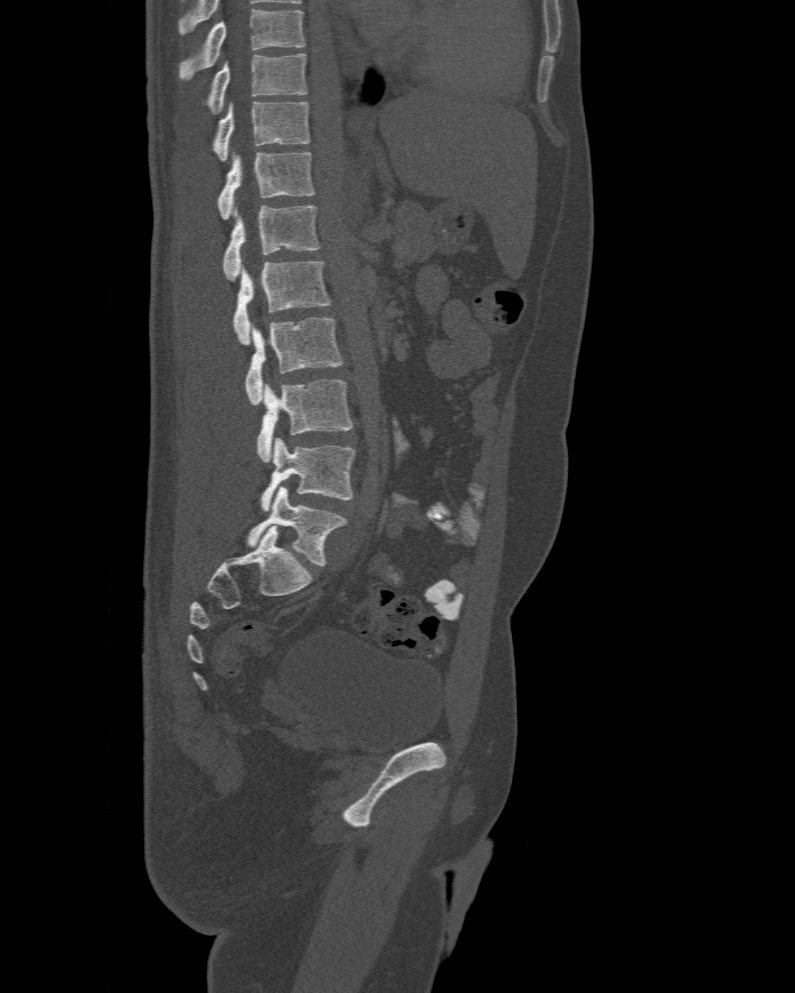 CT. sagittal reformat. the image spans 477 mm across. bone-window reconstruction

Boxes: x1:y1:x2:y2 in pixels.
In this scan, the topmost labeled vertebra is T10 and the lowest is L6.
These labels give the spine a sixth lumbar vertebra, L6, below L5.
L6: 247:487:347:566
L5: 261:438:356:511
L4: 256:380:353:462
L3: 244:317:342:404
L2: 233:262:331:344
L1: 222:205:320:281
T12: 219:152:314:219
T11: 213:102:310:161
T10: 208:53:308:112